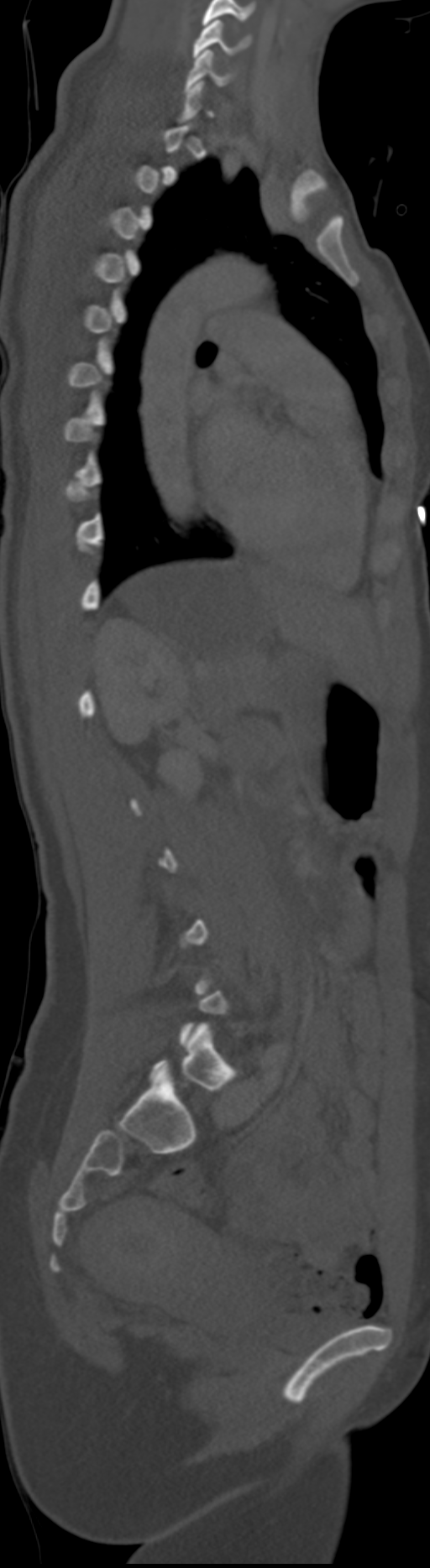

Spine computed tomography — sagittal view — image width 192 mm — bone window — 430x1568 px
Boxes below are [x1, y1, x2, y2] in pixels.
A vertebra gets a box only on the slices from the first to the last where its cross-section is at least a third of its largest; on a slice outside that range it gets none.
In these labels the spine has an L6, a sixth lumbar vertebra below L5.
{"vertebrae":{"C5":[192,19,251,57],"C6":[184,49,233,91],"L6":[150,1023,235,1089]}}